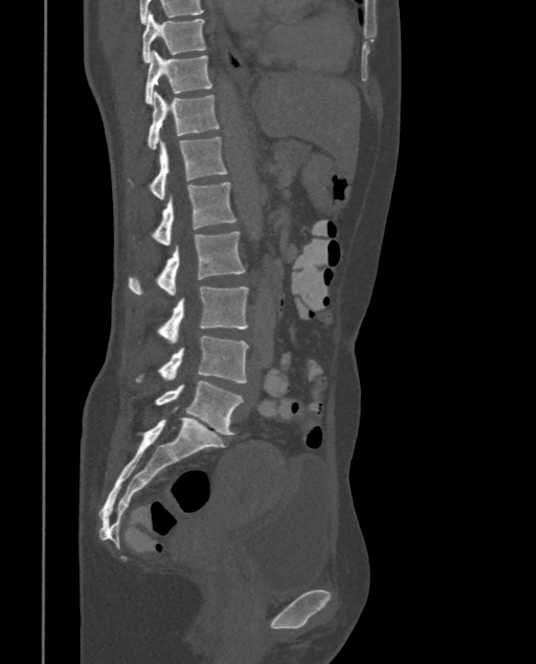
Computed tomography of the spine · the image is 375 mm wide · sagittal view

Box edges are left/top/right/bottom in pixels.
| vertebra | x1 | y1 | x2 | y2 |
|---|---|---|---|---|
| T9 | 142 | 11 | 206 | 62 |
| T10 | 145 | 50 | 211 | 105 |
| T11 | 146 | 91 | 219 | 149 |
| T12 | 150 | 137 | 227 | 199 |
| L1 | 153 | 181 | 235 | 246 |
| L2 | 129 | 231 | 245 | 296 |
| L3 | 158 | 286 | 249 | 343 |
| L4 | 137 | 336 | 249 | 383 |
| L5 | 156 | 380 | 243 | 435 |